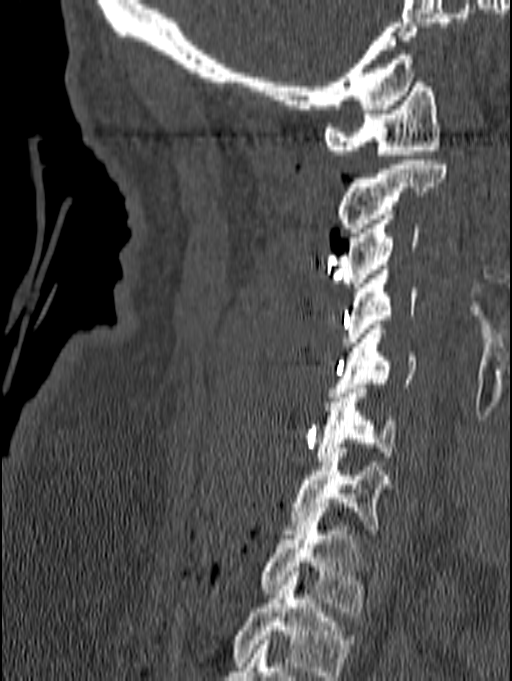

Spine computed tomography; sagittal view; Bone window (WL 400, WW 1800); 140 mm image width. Each row gives a vertebra's box as x1, y1, x2, y2 in pixels: top-left corner, then bottom-right corner.
This scan's labels start at C1 at the top and end at T1 at the bottom.
| vertebra | x1 | y1 | x2 | y2 |
|---|---|---|---|---|
| C1 | 324 | 78 | 440 | 159 |
| C2 | 338 | 160 | 446 | 237 |
| C3 | 340 | 210 | 418 | 292 |
| C4 | 342 | 265 | 416 | 346 |
| C5 | 330 | 325 | 416 | 397 |
| C6 | 315 | 384 | 395 | 461 |
| C7 | 283 | 448 | 388 | 534 |
| T1 | 261 | 517 | 366 | 612 |